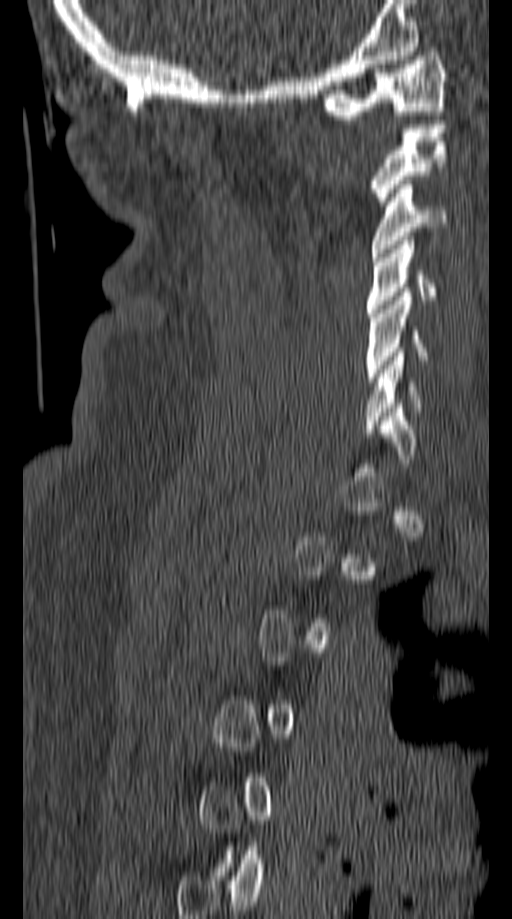 CT · sagittal reformat · image width 149 mm · Bone window (WL 400, WW 1800) · 512x919 px

Each box given as x1,y1,x2,y2.
A vertebra gets a box only on the slices from the first to the last where its cross-section is at least a third of its largest; on a slice outside that range it gets none.
Vertebra bounding boxes:
- C1: x1=320, y1=52, x2=447, y2=119
- C2: x1=372, y1=120, x2=443, y2=205
- C3: x1=372, y1=180, x2=447, y2=257
- C4: x1=365, y1=241, x2=435, y2=317
- C5: x1=365, y1=292, x2=427, y2=381
- C6: x1=365, y1=352, x2=423, y2=433